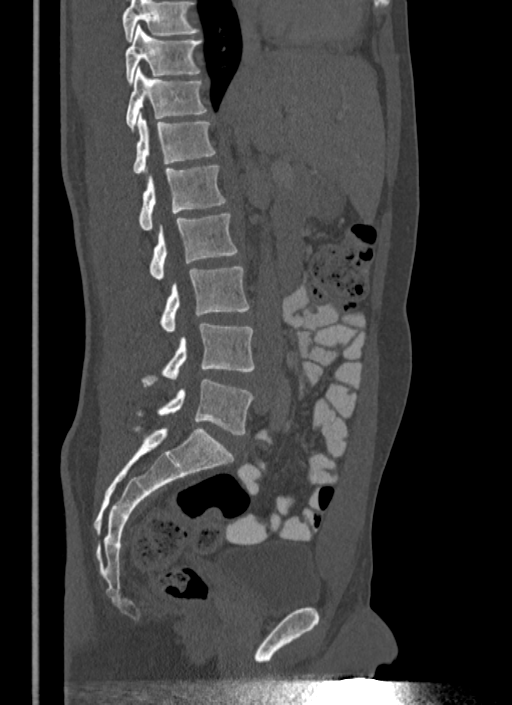

CT, spine — sagittal view — Bone window (WL 400, WW 1800)

Coordinates as <box>x1,y1,x2,y2</box>.
Vertebrae that run past the top of the scan are left unlabeled.
Vertebra bounding boxes:
- T10: <box>125,24,202,83</box>
- T11: <box>126,68,207,130</box>
- T12: <box>132,113,216,174</box>
- L1: <box>138,166,226,231</box>
- L2: <box>149,214,237,279</box>
- L3: <box>159,267,249,332</box>
- L4: <box>141,322,255,386</box>
- L5: <box>137,379,253,434</box>